CT spine — sagittal plane, index 84 — Bone window (WL 400, WW 1800)
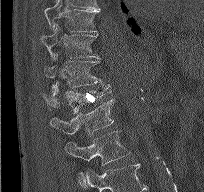

Each box given as x1,y1,x2,y2. This scan's labels start at T9 at the top and end at L2 at the bottom. The labeled vertebrae in this slice are: T9 at x1=44, y1=0, x2=100, y2=32, T10 at x1=40, y1=24, x2=99, y2=59, T11 at x1=44, y1=60, x2=101, y2=91, T12 at x1=43, y1=85, x2=111, y2=113, L1 at x1=50, y1=98, x2=113, y2=136, L2 at x1=64, y1=131, x2=130, y2=180.